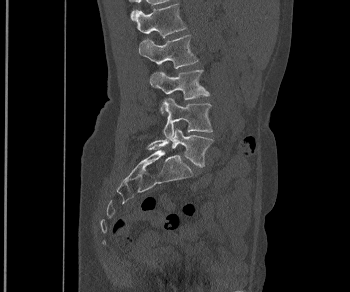
CT — sagittal view — bone-window reconstruction — image width 350 mm — 350x292 px
Boxes below are [x1, y1, x2, y2] in pixels.
{"vertebrae":{"L1":[136,2,186,37],"L2":[138,34,198,68],"L3":[149,70,209,113],"L4":[162,98,212,140],"L5":[148,128,213,167]}}